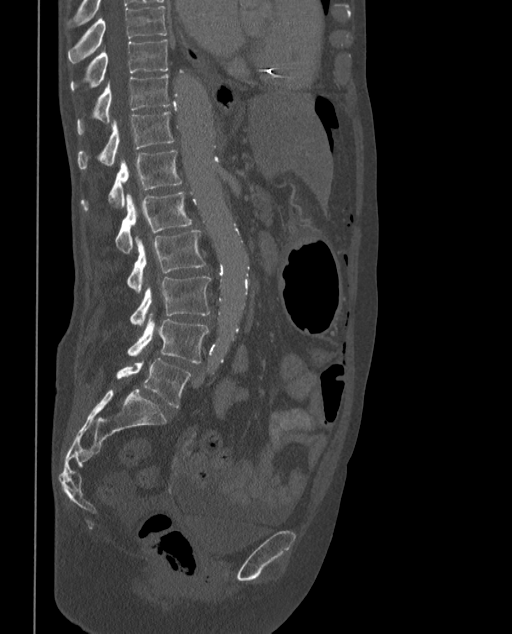
Computed tomography of the spine — image 373 mm wide — sagittal reformat — bone window — 512x634 px

Each row gives a vertebra's box as x1, y1, x2, y2 in pixels: top-left corner, then bottom-right corner.
In these labels the spine has an L6, a sixth lumbar vertebra below L5.
| vertebra | x1 | y1 | x2 | y2 |
|---|---|---|---|---|
| T9 | 67 | 5 | 168 | 63 |
| T10 | 70 | 40 | 169 | 90 |
| T11 | 77 | 74 | 170 | 135 |
| T12 | 78 | 111 | 175 | 169 |
| L1 | 79 | 149 | 181 | 211 |
| L2 | 115 | 191 | 192 | 252 |
| L3 | 126 | 230 | 206 | 291 |
| L4 | 129 | 275 | 210 | 324 |
| L5 | 127 | 320 | 209 | 362 |
| L6 | 116 | 358 | 191 | 408 |